Spine CT — sagittal plane, index 224 — 430 mm across the image — bone window
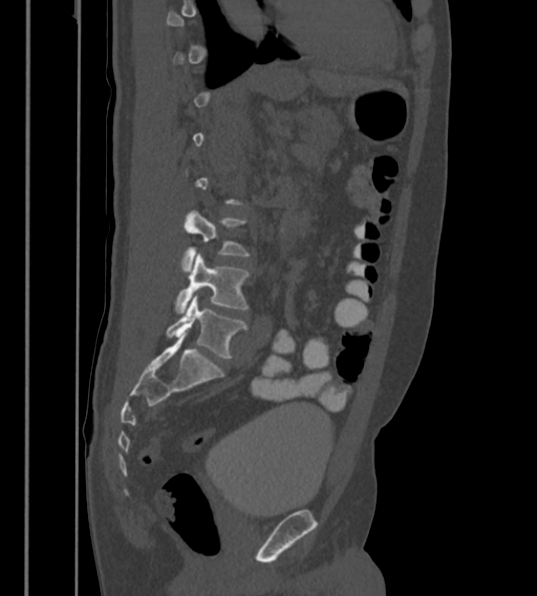

Each box given as x1,y1,x2,y2.
A vertebra gets a box only on the slices from the first to the last where its cross-section is at least a third of its largest; on a slice outside that range it gets none.
These labels give the spine a sixth lumbar vertebra, L6, below L5.
L4: x1=181, y1=211, x2=248, y2=271
L5: x1=174, y1=252, x2=248, y2=313
L6: x1=166, y1=295, x2=245, y2=358